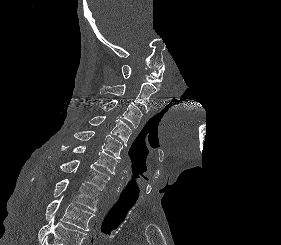

CT; sagittal view; part of the scan has been removed (filled with constant black)
Box edges are left/top/right/bottom in pixels.
Vertebrae that run past the bottom of the scan are left unlabeled.
| vertebra | x1 | y1 | x2 | y2 |
|---|---|---|---|---|
| C1 | 122 | 65 | 164 | 89 |
| C2 | 100 | 82 | 158 | 112 |
| C3 | 100 | 99 | 142 | 128 |
| C4 | 88 | 116 | 131 | 146 |
| C5 | 74 | 131 | 122 | 158 |
| C6 | 61 | 144 | 119 | 174 |
| C7 | 48 | 156 | 110 | 190 |
| T1 | 30 | 178 | 98 | 211 |
| T2 | 45 | 195 | 94 | 231 |